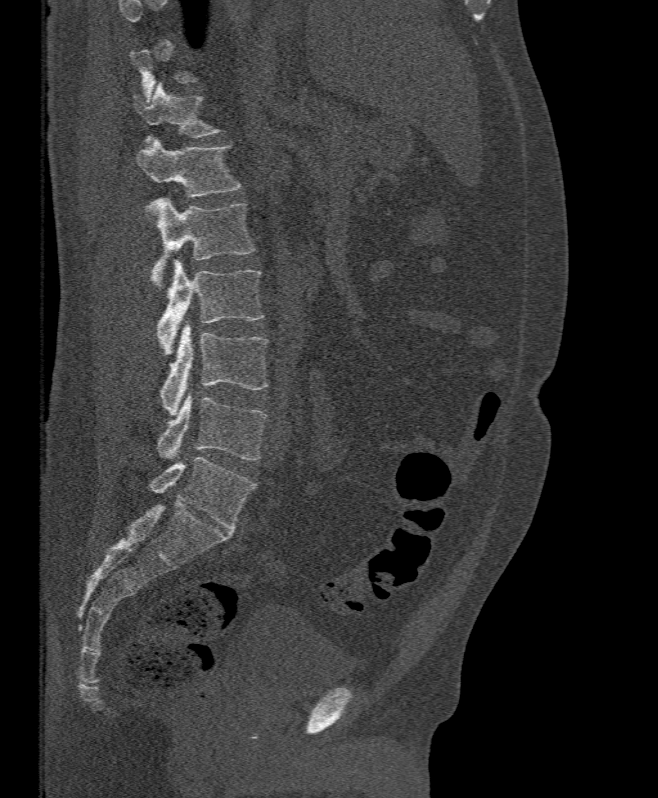 Spine CT; sagittal view; bone-window reconstruction
Each box is [x1, y1, x2, y2] in pixels: top-left corner, then bottom-right corner.
A vertebra is boxed only from the first to the last slice where its cross-section is at least a third of its largest; slices outside that range leave it without a box.
{"vertebrae":{"L5":[157,393,268,459],"L4":[159,321,269,416],"L3":[157,259,264,354],"L2":[147,198,255,289],"L1":[136,138,241,197],"T12":[134,83,223,143]}}